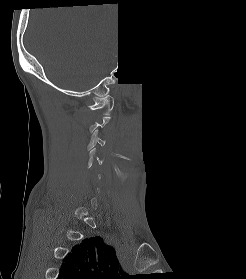

CT, spine · sagittal view · bone window · part of the image is constant black where the scan was masked. Boxes are (x1, y1, x2, y2) in pixels. A vertebra gets a box only on the slices from the first to the last where its cross-section is at least a third of its largest; on a slice outside that range it gets none. 3 vertebrae labeled — C4 at (88, 148, 104, 168); C3 at (87, 129, 105, 150); C1 at (88, 95, 113, 115).